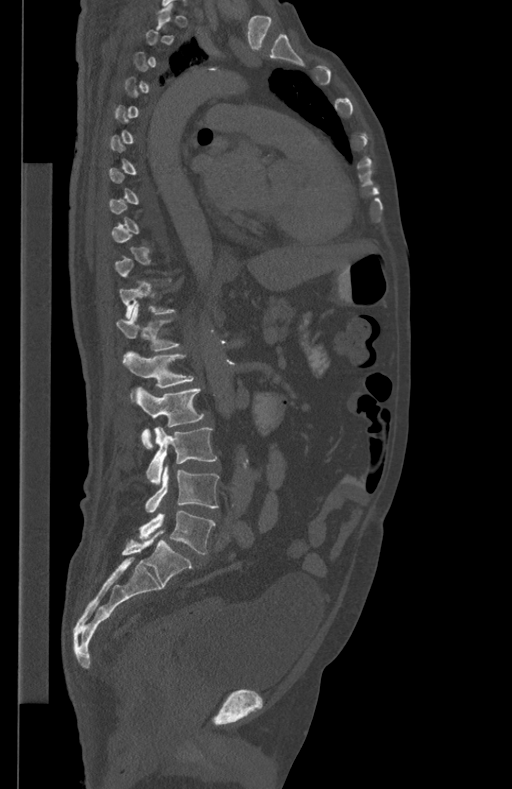

CT · sagittal view · 512x789 px. Boxes: x1 y1 x2 y2 (pixel coords, space-separated).
A vertebra is boxed only from the first to the last slice where its cross-section is at least a third of its largest; slices outside that range leave it without a box.
L5: 139 511 215 554
L4: 145 466 220 512
L3: 146 427 217 484
L2: 134 386 204 448
L1: 123 351 194 396
T12: 117 304 179 350